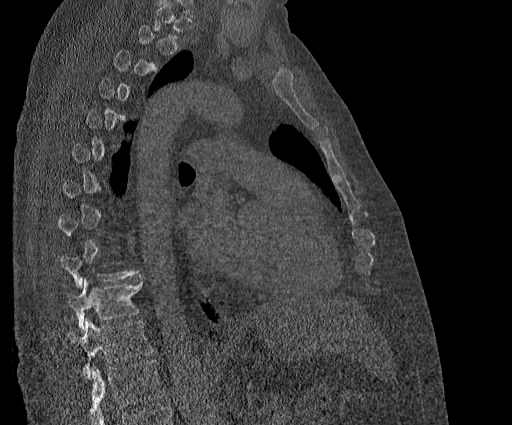

CT, spine — sagittal view. Boxes: x1 y1 x2 y2 (pixel coords, space-separated). Not every vertebra on this slice has a box: a vertebra is boxed only from the first to the last slice where its cross-section is at least a third of its largest, and this slice is outside that range for at least one of them. Labels in this scan begin with T2 at the top and end with T11 at the bottom. The labeled vertebrae in this slice are: T10 at 66 275 143 331, T11 at 68 319 152 376.